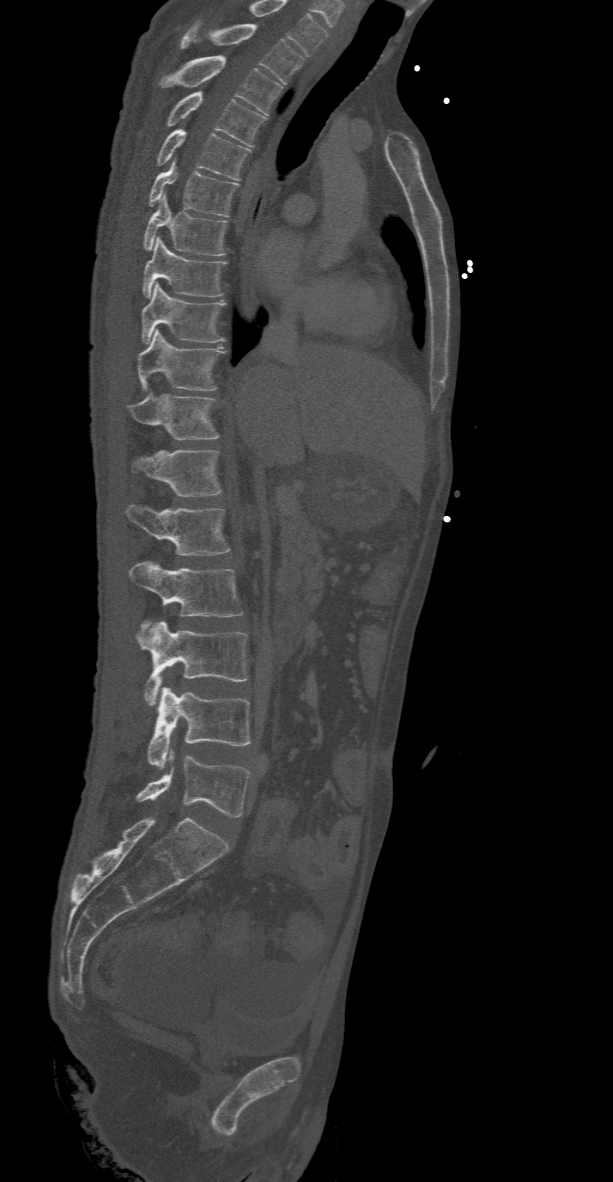

CT. sagittal view
Each box given as x1,y1,x2,y2.
This scan's labels start at T2 at the top and end at L5 at the bottom.
| vertebra | x1 | y1 | x2 | y2 |
|---|---|---|---|---|
| L5 | 137 | 749 | 251 | 816 |
| L4 | 149 | 687 | 251 | 768 |
| L3 | 137 | 621 | 247 | 705 |
| L2 | 128 | 561 | 243 | 633 |
| L1 | 125 | 504 | 230 | 555 |
| T12 | 133 | 450 | 222 | 496 |
| T11 | 128 | 394 | 218 | 440 |
| T10 | 137 | 329 | 225 | 390 |
| T9 | 141 | 282 | 225 | 343 |
| T8 | 141 | 237 | 227 | 297 |
| T7 | 143 | 196 | 227 | 255 |
| T6 | 149 | 161 | 239 | 216 |
| T5 | 157 | 129 | 251 | 180 |
| T4 | 167 | 91 | 265 | 146 |
| T3 | 159 | 56 | 282 | 113 |
| T2 | 180 | 22 | 303 | 83 |